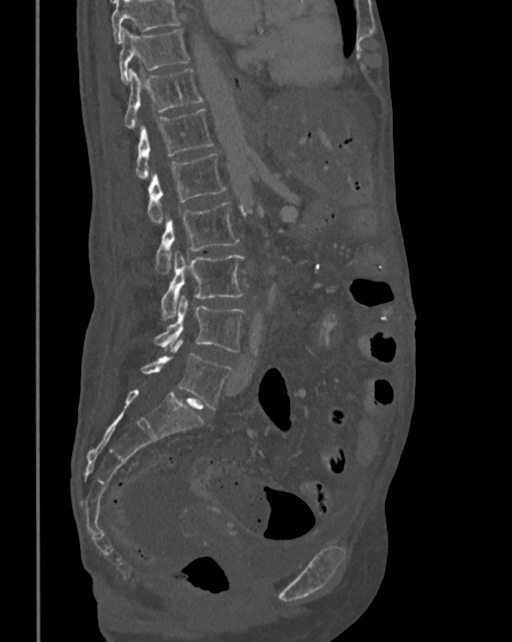

CT. sagittal view. bone-window reconstruction
Boxes: x1 y1 x2 y2 (pixel coords, space-separated).
Where the top of the scan cuts through a vertebra, that vertebra gets no label or box.
Vertebra bounding boxes:
- T10: 120 29 190 83
- T11: 124 68 204 127
- T12: 134 108 213 177
- L1: 148 153 226 222
- L2: 155 202 240 274
- L3: 160 252 244 319
- L4: 154 296 244 353
- L5: 140 341 231 410